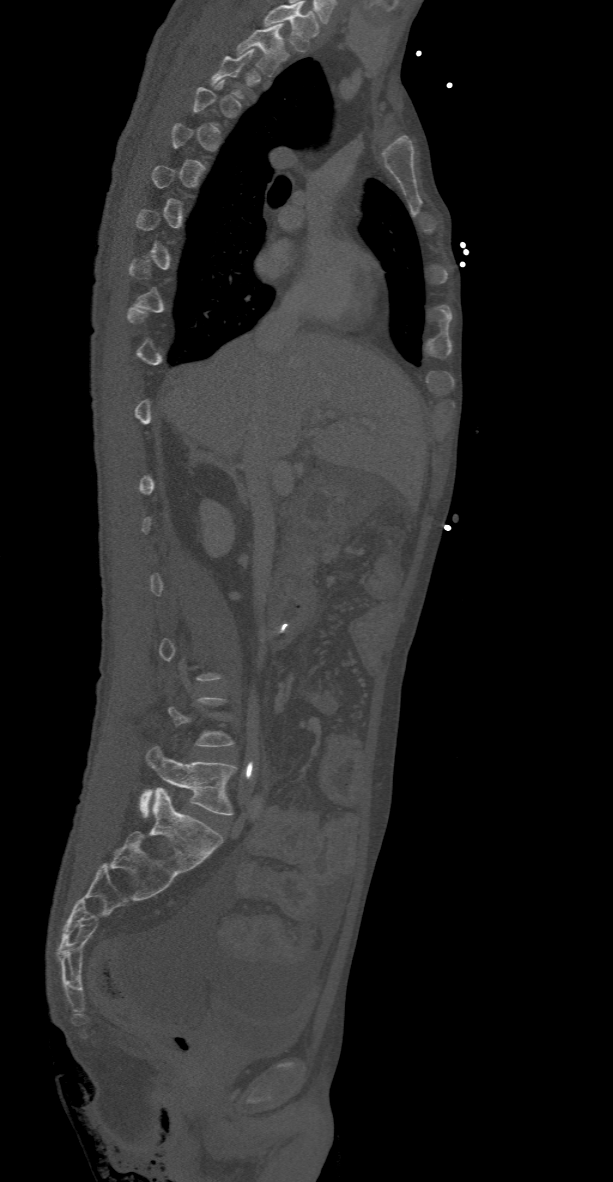 Computed tomography of the spine · sagittal view · W/L 1800/400 HU · 613x1182 px · image 368 mm wide
A vertebra is boxed only from the first to the last slice where its cross-section is at least a third of its largest; slices outside that range leave it without a box.
The highest labeled vertebra in this scan is T2; the lowest is L5.
<vertebrae><v name="L5" x1="140" y1="747" x2="235" y2="816"/><v name="T2" x1="236" y1="23" x2="289" y2="75"/></vertebrae>